Spine computed tomography — sagittal plane, index 282 — bone-window reconstruction — scan covers 10 annotated vertebrae
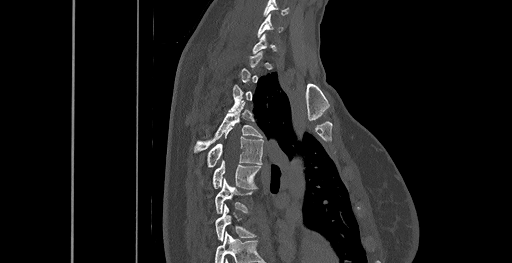
Box edges are left/top/right/bottom in pixels.
A vertebra gets a box only on the slices from the first to the last where its cross-section is at least a third of its largest; on a slice outside that range it gets none.
In this scan, the topmost labeled vertebra is C6 and the lowest is T8.
Vertebra bounding boxes:
- C6: left=258, top=14, right=282, bottom=36
- T4: left=193, top=103, right=262, bottom=152
- T5: left=207, top=129, right=263, bottom=166
- T6: left=213, top=160, right=260, bottom=189
- T7: left=215, top=179, right=251, bottom=213
- T8: left=215, top=204, right=254, bottom=241